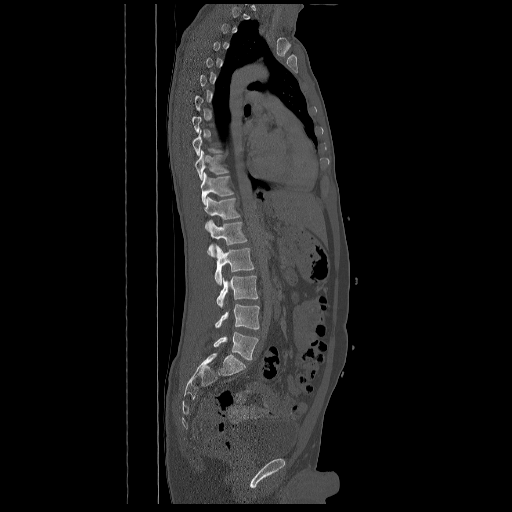
Spine computed tomography; sagittal view; W/L 1800/400 HU
A vertebra gets a box only on the slices from the first to the last where its cross-section is at least a third of its largest; on a slice outside that range it gets none.
<vertebrae><v name="T9" x1="193" y1="131" x2="221" y2="155"/><v name="T10" x1="195" y1="150" x2="228" y2="180"/><v name="T11" x1="200" y1="172" x2="234" y2="204"/><v name="T12" x1="204" y1="197" x2="240" y2="231"/><v name="L1" x1="207" y1="221" x2="247" y2="256"/><v name="L2" x1="214" y1="244" x2="253" y2="285"/><v name="L3" x1="216" y1="276" x2="258" y2="307"/><v name="L4" x1="215" y1="304" x2="259" y2="330"/><v name="L5" x1="213" y1="331" x2="258" y2="359"/></vertebrae>